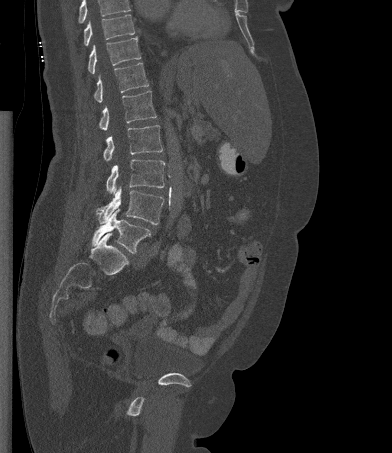 CT spine · sagittal view · W/L 1800/400 HU
Boxes below are [x1, y1, x2, y2] in pixels.
A vertebra cut off by the top edge of the scan is not labeled and has no box.
{"vertebrae":{"L5":[92,209,150,253],"L4":[96,186,163,224],"L3":[106,159,165,194],"L2":[103,125,162,160],"L1":[99,90,156,130],"T12":[94,62,148,102],"T11":[88,37,140,74],"T10":[84,14,135,46]}}